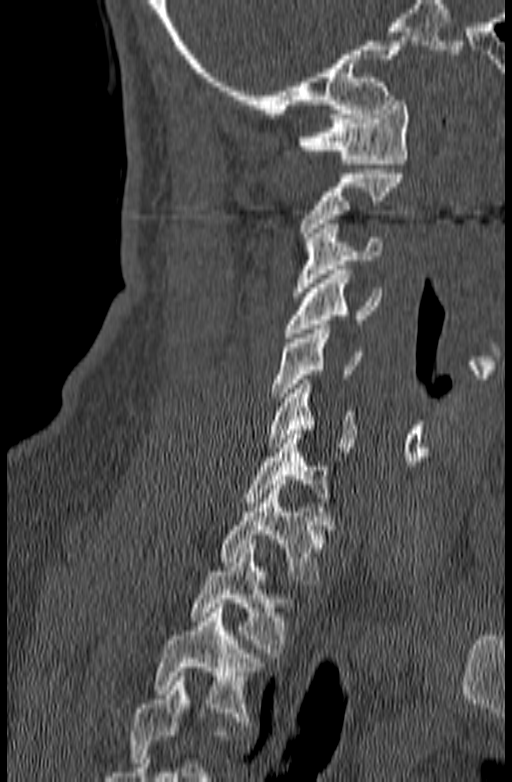 Spine CT; 140 mm across the image; sagittal view
Vertebrae that run past the bottom of the scan are left unlabeled.
<vertebrae><v name="C1" x1="298" y1="96" x2="409" y2="164"/><v name="C2" x1="300" y1="169" x2="403" y2="241"/><v name="C3" x1="292" y1="224" x2="381" y2="296"/><v name="C4" x1="284" y1="270" x2="382" y2="337"/><v name="C5" x1="271" y1="325" x2="362" y2="401"/><v name="C6" x1="267" y1="379" x2="355" y2="452"/><v name="C7" x1="243" y1="430" x2="333" y2="506"/><v name="T1" x1="221" y1="485" x2="334" y2="584"/><v name="T2" x1="190" y1="544" x2="293" y2="657"/><v name="T3" x1="154" y1="603" x2="260" y2="726"/></vertebrae>